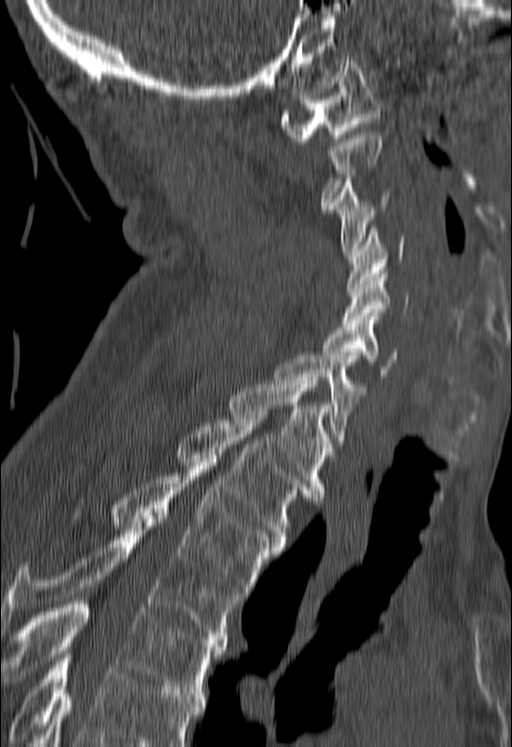
Spine computed tomography — the image is 180 mm wide — sagittal view — W/L 1800/400 HU — 512x747 px
Each vertebra is boxed only on the slices from the first to the last where its cross-section reaches a third of its largest, so a slice outside that range leaves it unboxed.
A vertebra cut off by the bottom edge of the scan is not labeled and has no box.
<vertebrae><v name="C1" x1="279" y1="57" x2="381" y2="141"/><v name="C3" x1="329" y1="178" x2="390" y2="255"/><v name="C4" x1="347" y1="228" x2="405" y2="291"/><v name="C5" x1="344" y1="270" x2="408" y2="323"/><v name="C6" x1="321" y1="316" x2="397" y2="376"/><v name="C7" x1="271" y1="356" x2="367" y2="447"/><v name="T1" x1="226" y1="377" x2="333" y2="497"/><v name="T2" x1="174" y1="416" x2="310" y2="543"/><v name="T3" x1="109" y1="462" x2="282" y2="596"/><v name="T4" x1="0" y1="519" x2="239" y2="643"/><v name="T5" x1="2" y1="601" x2="225" y2="696"/></vertebrae>